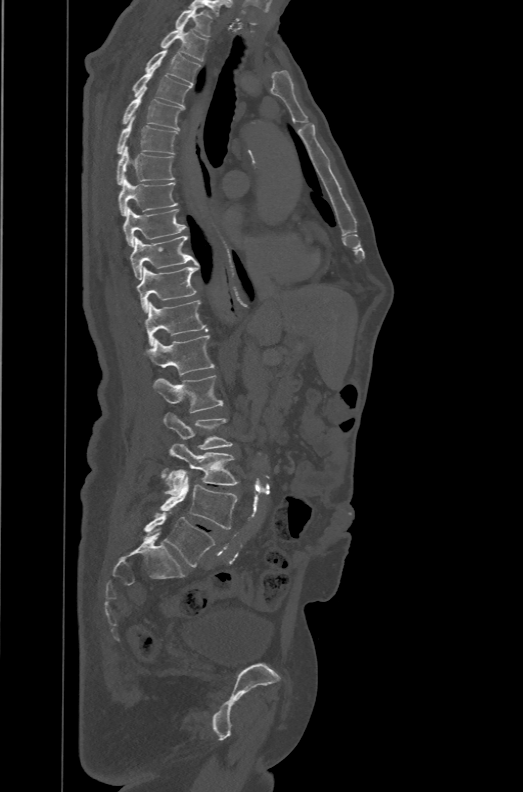 Spine CT; sagittal view; W/L 1800/400 HU; 523x792 px

Bounding boxes as [x1, y1, x2, y2] in pixel coordinates.
The labels name a sixth lumbar vertebra for this spine: L6, after L5.
T1: [175, 5, 213, 37]
T2: [159, 24, 209, 61]
T3: [144, 44, 200, 85]
T4: [132, 68, 191, 108]
T5: [122, 92, 183, 130]
T6: [117, 115, 178, 155]
T7: [117, 146, 175, 184]
T8: [118, 176, 178, 215]
T9: [122, 206, 188, 247]
T10: [130, 235, 198, 279]
T11: [137, 266, 199, 313]
T12: [144, 300, 208, 345]
L1: [143, 335, 215, 374]
L2: [152, 375, 224, 412]
L3: [164, 412, 233, 449]
L4: [165, 444, 239, 495]
L5: [159, 468, 237, 529]
L6: [143, 513, 215, 567]